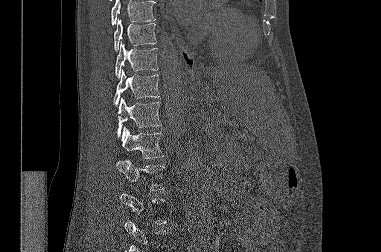 Spine CT · 381 mm image width · sagittal view · Bone window (WL 400, WW 1800) · 381x252 px
Not every vertebra on this slice has a box: a vertebra is boxed only from the first to the last slice where its cross-section is at least a third of its largest, and this slice is outside that range for at least one of them.
Vertebrae that run past the top of the scan are left unlabeled.
<vertebrae><v name="L2" x1="116" y1="160" x2="164" y2="190"/><v name="L1" x1="121" y1="127" x2="163" y2="158"/><v name="T12" x1="117" y1="98" x2="161" y2="136"/><v name="T11" x1="113" y1="69" x2="159" y2="105"/><v name="T10" x1="115" y1="41" x2="158" y2="78"/><v name="T9" x1="114" y1="18" x2="156" y2="50"/></vertebrae>